CT — 474 mm wide — Sagittal slice 251/512
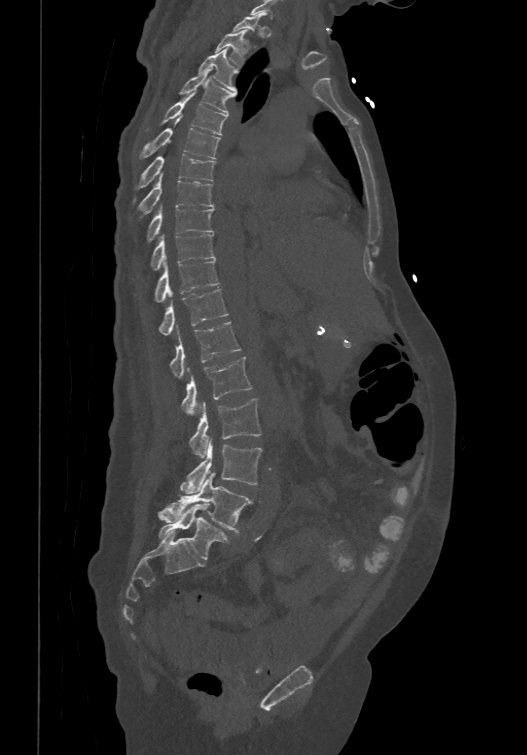

Each row gives a vertebra's box as x1, y1, x2, y2 in pixels: top-left corner, then bottom-right corner.
A vertebra gets a box only on the slices from the first to the last where its cross-section is at least a third of its largest; on a slice outside that range it gets none.
The labels name a sixth lumbar vertebra for this spine: L6, after L5.
| vertebra | x1 | y1 | x2 | y2 |
|---|---|---|---|---|
| T2 | 215 | 29 | 247 | 66 |
| T3 | 198 | 47 | 238 | 91 |
| T4 | 179 | 69 | 236 | 113 |
| T5 | 145 | 92 | 227 | 134 |
| T6 | 140 | 127 | 220 | 157 |
| T7 | 134 | 153 | 216 | 201 |
| T8 | 139 | 171 | 213 | 212 |
| T9 | 147 | 203 | 213 | 240 |
| T10 | 151 | 233 | 215 | 269 |
| T11 | 154 | 260 | 219 | 301 |
| T12 | 158 | 288 | 227 | 334 |
| L1 | 170 | 321 | 241 | 380 |
| L2 | 181 | 355 | 252 | 416 |
| L3 | 190 | 398 | 261 | 458 |
| L4 | 181 | 437 | 261 | 493 |
| L5 | 158 | 473 | 252 | 531 |
| L6 | 157 | 503 | 229 | 560 |